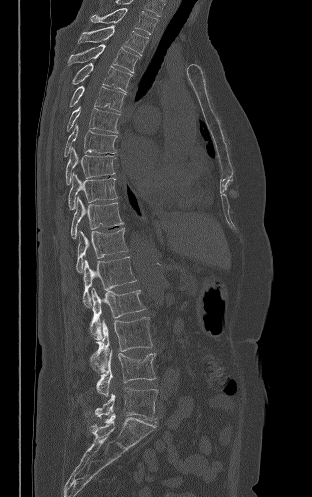 Spine CT; 312 mm image width; sagittal reformat
Each box given as x1,y1,x2,y2.
| vertebra | x1 | y1 | x2 | y2 |
|---|---|---|---|---|
| T2 | 91 | 8 | 158 | 34 |
| T3 | 78 | 25 | 148 | 55 |
| T4 | 68 | 44 | 139 | 72 |
| T5 | 72 | 63 | 132 | 92 |
| T6 | 70 | 86 | 126 | 111 |
| T7 | 67 | 106 | 120 | 133 |
| T8 | 64 | 123 | 117 | 156 |
| T9 | 65 | 147 | 115 | 184 |
| T10 | 68 | 173 | 117 | 209 |
| T11 | 71 | 196 | 123 | 238 |
| T12 | 76 | 228 | 127 | 272 |
| L1 | 83 | 256 | 136 | 307 |
| L2 | 90 | 288 | 145 | 340 |
| L3 | 92 | 317 | 152 | 372 |
| L4 | 90 | 350 | 155 | 396 |
| L5 | 95 | 387 | 157 | 422 |